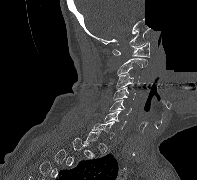
Computed tomography of the spine. sagittal view. 197 mm image width. 197x180 px. some of the image was removed or blocked out with constant pixels
Each box is [x1, y1, x2, y2] in pixels: top-left corner, then bottom-right corner.
A vertebra gets a box only on the slices from the first to the last where its cross-section is at least a third of its largest; on a slice outside that range it gets none.
{"vertebrae":{"C7":[92,121,114,139],"C6":[103,111,126,129],"C5":[109,99,131,114],"C4":[113,87,135,100],"C3":[116,73,140,88],"C2":[117,58,147,75],"C1":[112,41,149,57]}}